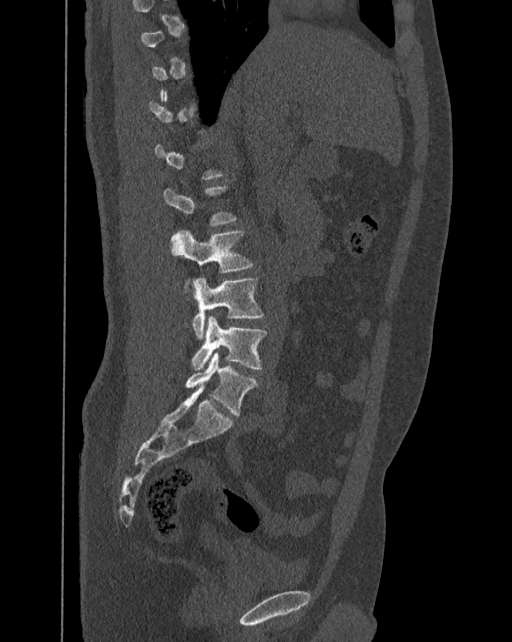
Computed tomography of the spine · sagittal view · bone-window reconstruction · 512x642 px. Coordinates as <box>x1,y1,x2,y2</box>. A vertebra is boxed only from the first to the last slice where its cross-section is at least a third of its largest; slices outside that range leave it without a box. These labels give the spine a sixth lumbar vertebra, L6, below L5. Vertebrae labeled: L6 at <box>185,351,257,415</box>, L5 at <box>192,315,267,370</box>, L4 at <box>192,277,263,339</box>, L3 at <box>171,229,252,273</box>.